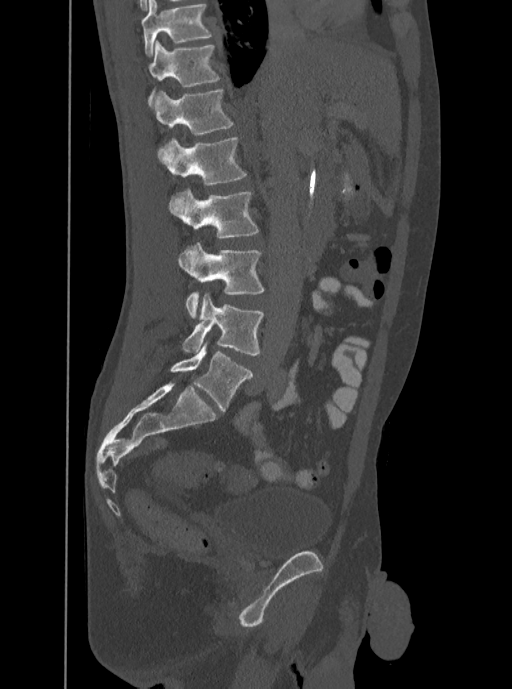 Spine CT. sagittal view. Bone window (WL 400, WW 1800)

Boxes are given in columns x1, y1, x2, y2, the pixel coordinates of their top-left and bottom-right corners.
In this scan, the topmost labeled vertebra is T12 and the lowest is L5.
| vertebra | x1 | y1 | x2 | y2 |
|---|---|---|---|---|
| T12 | 148 | 41 | 220 | 106 |
| L1 | 153 | 88 | 234 | 135 |
| L2 | 158 | 137 | 247 | 185 |
| L3 | 168 | 188 | 259 | 237 |
| L4 | 178 | 242 | 265 | 318 |
| L5 | 181 | 294 | 264 | 356 |